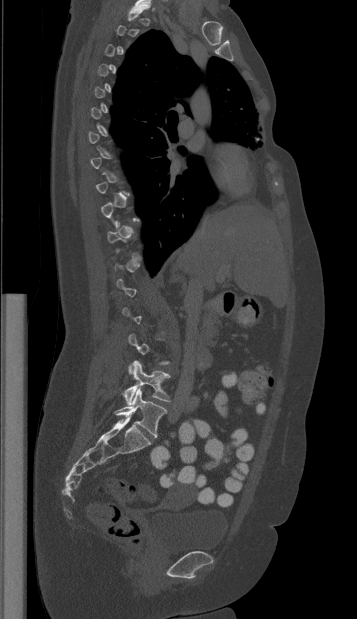

Spine CT — sagittal view. Boxes are given in columns x1, y1, x2, y2, the pixel coordinates of their top-left and bottom-right corners.
Not every vertebra on this slice has a box: a vertebra is boxed only from the first to the last slice where its cross-section is at least a third of its largest, and this slice is outside that range for at least one of them.
| vertebra | x1 | y1 | x2 | y2 |
|---|---|---|---|---|
| L4 | 123 | 361 | 170 | 404 |
| L5 | 114 | 388 | 167 | 436 |